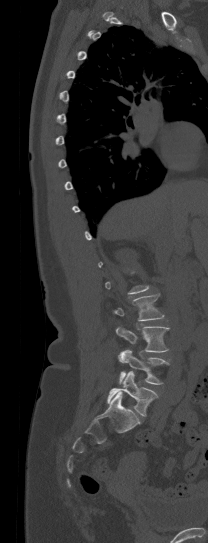
Spine CT · sagittal view · 208x543 px
A vertebra gets a box only on the slices from the first to the last where its cross-section is at least a third of its largest; on a slice outside that range it gets none.
<vertebrae><v name="L2" x1="113" y1="293" x2="163" y2="320"/><v name="L3" x1="116" y1="326" x2="169" y2="352"/><v name="L4" x1="118" y1="349" x2="169" y2="384"/><v name="L5" x1="107" y1="372" x2="157" y2="416"/></vertebrae>